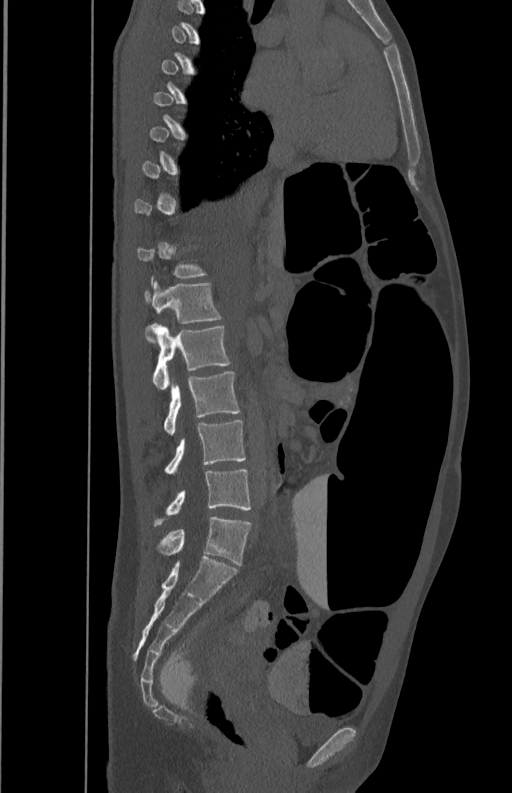 Spine computed tomography. sagittal view

Each vertebra is boxed only on the slices from the first to the last where its cross-section reaches a third of its largest, so a slice outside that range leaves it unboxed.
<vertebrae><v name="L1" x1="145" y1="280" x2="221" y2="343"/><v name="L2" x1="151" y1="323" x2="230" y2="389"/><v name="L3" x1="164" y1="371" x2="240" y2="435"/><v name="L4" x1="164" y1="420" x2="246" y2="474"/><v name="L5" x1="153" y1="469" x2="250" y2="526"/></vertebrae>